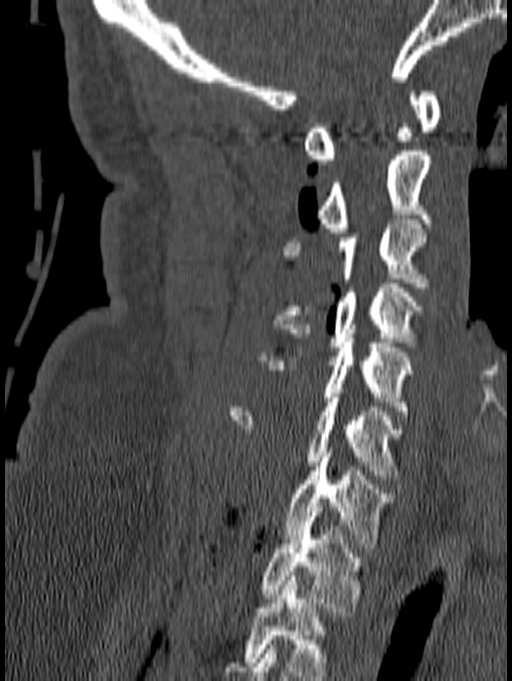
Spine CT · sagittal reformat · W/L 1800/400 HU · 512x681 px
Boxes: x1:y1:x2:y2 in pixels.
This scan's labels start at C1 at the top and end at T1 at the bottom.
Vertebra bounding boxes:
- C1: 304:91:441:164
- C2: 316:151:430:232
- C3: 283:219:429:287
- C4: 273:283:425:351
- C5: 258:338:413:415
- C6: 229:393:405:479
- C7: 285:448:392:548
- T1: 261:512:366:616